CT; sagittal view; bone-window reconstruction; 23 vertebrae labeled in this scan; 500 mm image width; a portion of the image is blanked out (constant pixel value)
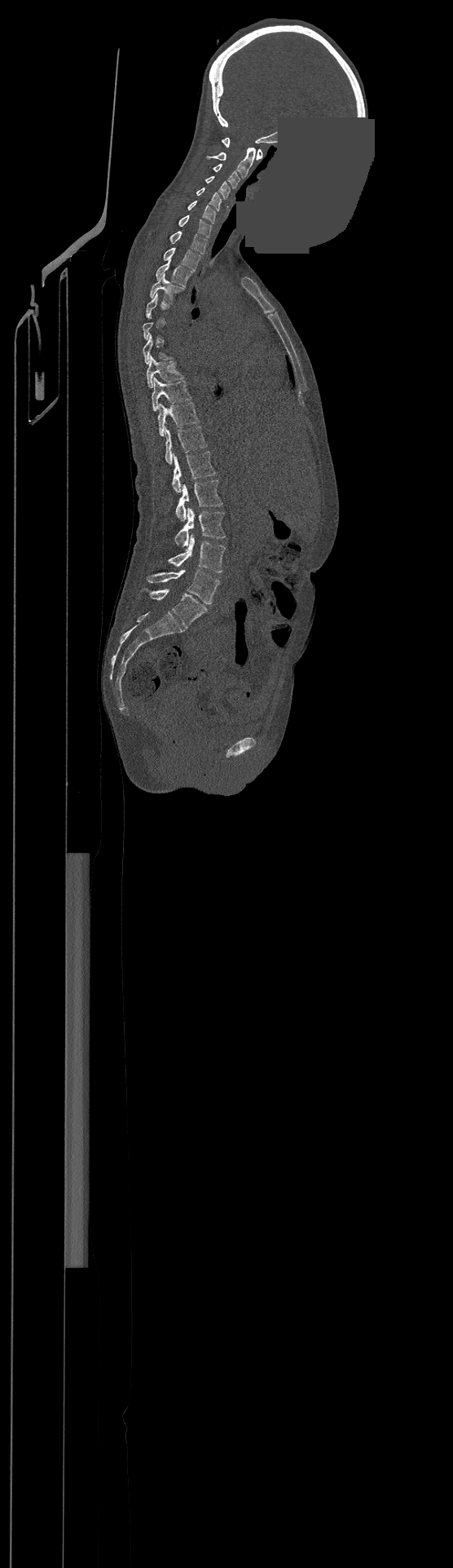 Each vertebra is boxed only on the slices from the first to the last where its cross-section reaches a third of its largest, so a slice outside that range leaves it unboxed.
Labels in this scan begin with C1 at the top and end with L4 at the bottom.
<vertebrae><v name="C1" x1="222" y1="138" x2="262" y2="159"/><v name="C2" x1="206" y1="148" x2="256" y2="178"/><v name="C3" x1="214" y1="164" x2="240" y2="188"/><v name="C4" x1="205" y1="176" x2="230" y2="199"/><v name="C5" x1="196" y1="188" x2="221" y2="210"/><v name="C6" x1="187" y1="201" x2="216" y2="223"/><v name="C7" x1="178" y1="215" x2="211" y2="237"/><v name="T1" x1="169" y1="231" x2="206" y2="254"/><v name="T2" x1="163" y1="248" x2="200" y2="270"/><v name="T3" x1="156" y1="258" x2="192" y2="286"/><v name="T4" x1="150" y1="274" x2="183" y2="302"/><v name="T8" x1="147" y1="356" x2="183" y2="387"/><v name="T9" x1="152" y1="378" x2="191" y2="410"/><v name="T10" x1="157" y1="403" x2="198" y2="435"/><v name="T11" x1="165" y1="426" x2="206" y2="464"/><v name="T12" x1="173" y1="452" x2="215" y2="492"/><v name="L1" x1="176" y1="480" x2="222" y2="521"/><v name="L2" x1="175" y1="508" x2="225" y2="547"/><v name="L3" x1="168" y1="534" x2="225" y2="572"/><v name="L4" x1="147" y1="570" x2="219" y2="604"/></vertebrae>